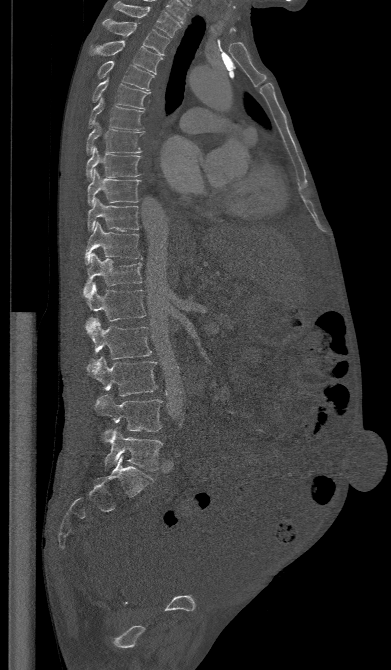 Computed tomography of the spine. sagittal reformat
Box edges are left/top/right/bottom in pixels.
T1: left=113, top=2, right=180, bottom=37
T2: left=103, top=19, right=169, bottom=55
T3: left=88, top=40, right=162, bottom=74
T4: left=97, top=61, right=153, bottom=90
T5: left=92, top=77, right=150, bottom=108
T6: left=88, top=98, right=143, bottom=132
T7: left=86, top=123, right=144, bottom=155
T8: left=86, top=147, right=140, bottom=179
T9: left=87, top=169, right=140, bottom=205
T10: left=88, top=198, right=139, bottom=231
T11: left=84, top=222, right=142, bottom=263
T12: left=82, top=253, right=142, bottom=296
L1: left=86, top=283, right=145, bottom=321
L2: left=85, top=317, right=151, bottom=362
L3: left=86, top=356, right=157, bottom=396
L4: left=94, top=394, right=162, bottom=441
L5: left=104, top=428, right=162, bottom=470